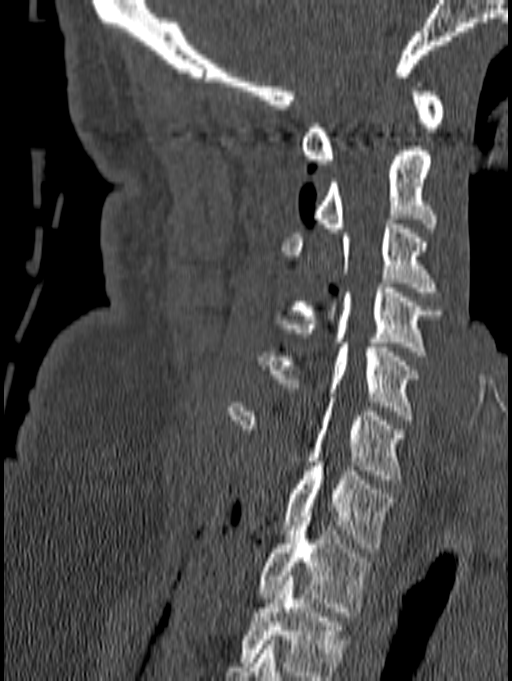

Spine computed tomography. sagittal reformat. Bone window (WL 400, WW 1800)

Each box given as x1,y1,x2,y2.
The highest labeled vertebra in this scan is C1; the lowest is T1.
Vertebra bounding boxes:
- C1: x1=301, y1=82, x2=444, y2=164
- C2: x1=312, y1=146, x2=436, y2=232
- C3: x1=282, y1=219, x2=441, y2=296
- C4: x1=275, y1=283, x2=443, y2=356
- C5: x1=258, y1=343, x2=417, y2=420
- C6: x1=226, y1=398, x2=406, y2=484
- C7: x1=283, y1=462, x2=395, y2=552
- T1: x1=257, y1=512, x2=373, y2=616